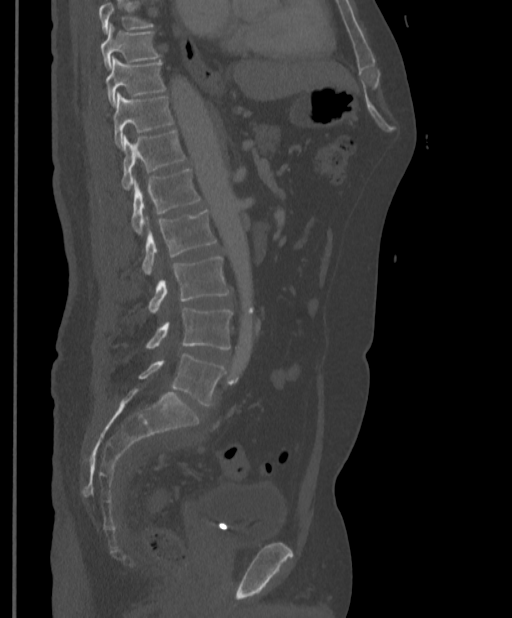

Computed tomography of the spine — sagittal view. Each box given as x1,y1,x2,y2.
A vertebra cut off by the top edge of the scan is not labeled and has no box.
| vertebra | x1 | y1 | x2 | y2 |
|---|---|---|---|---|
| L5 | 138 | 353 | 225 | 405 |
| L4 | 146 | 308 | 232 | 349 |
| L3 | 148 | 257 | 230 | 312 |
| L2 | 142 | 210 | 217 | 274 |
| L1 | 131 | 169 | 200 | 235 |
| T12 | 121 | 130 | 186 | 190 |
| T11 | 113 | 93 | 173 | 147 |
| T10 | 106 | 57 | 165 | 105 |
| T9 | 100 | 23 | 160 | 70 |